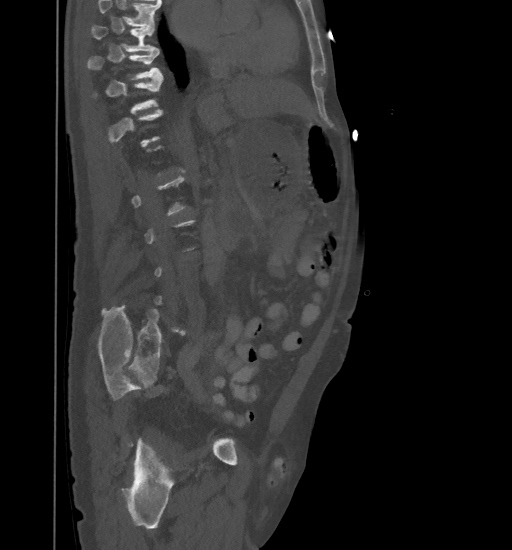

Computed tomography of the spine; sagittal view; bone-window reconstruction
Coordinates as <box>x1,y1,x2,y2</box>. Each vertebra is boxed only on the slices from the first to the last where its cross-section reaches a third of its largest, so a slice outside that range leaves it unboxed. Vertebrae that run past the top of the scan are left unlabeled. Vertebrae labeled: T9 at <box>91,26,157,51</box>, T10 at <box>88,49,163,79</box>.